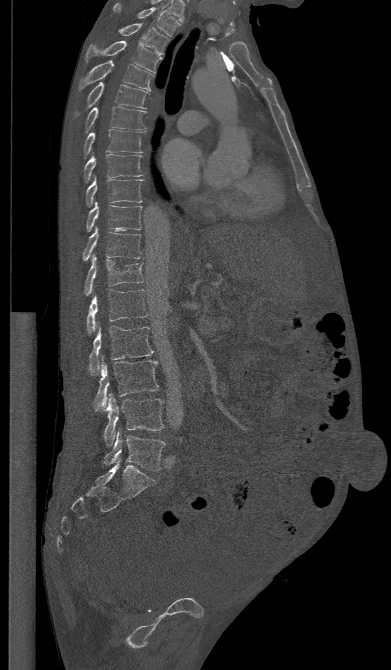

CT spine. image 391 mm wide. sagittal view. bone window
Box values are [left, top, right, bottom] in pixels.
{"vertebrae":{"T1":[113,3,180,36],"T2":[118,23,168,55],"T3":[85,41,162,72],"T4":[78,60,153,91],"T5":[73,82,148,118],"T6":[84,106,145,133],"T7":[82,129,145,158],"T8":[83,154,143,182],"T9":[85,175,143,207],"T10":[86,202,142,231],"T11":[82,227,142,261],"T12":[84,256,143,295],"L1":[87,289,147,333],"L2":[89,325,153,374],"L3":[93,360,158,410],"L4":[103,394,163,445],"L5":[103,429,165,470]}}